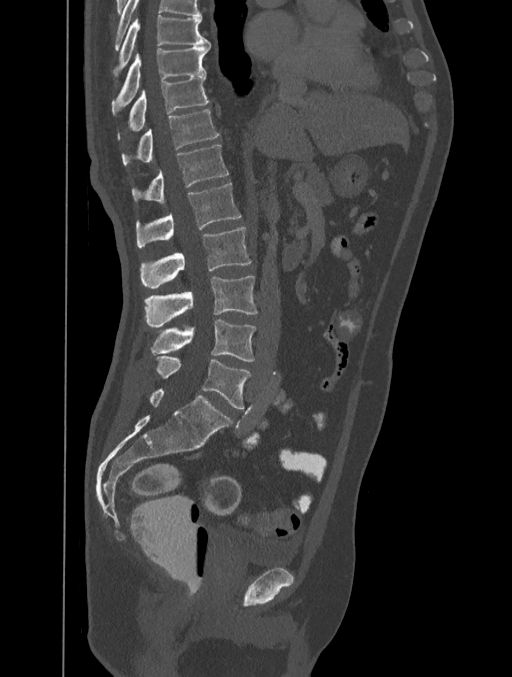
CT spine · sagittal view · 512x677 px · 401 mm across the image

Bounding boxes as [x1, y1, x2, y2] in pixel coordinates.
This scan's labels start at T8 at the top and end at L5 at the bottom.
Vertebra bounding boxes:
- T8: [113, 15, 210, 75]
- T9: [112, 45, 210, 109]
- T10: [117, 75, 210, 138]
- T11: [121, 109, 218, 167]
- T12: [131, 145, 229, 202]
- L1: [135, 183, 241, 247]
- L2: [140, 228, 250, 287]
- L3: [144, 276, 257, 327]
- L4: [151, 319, 255, 361]
- L5: [156, 356, 250, 409]